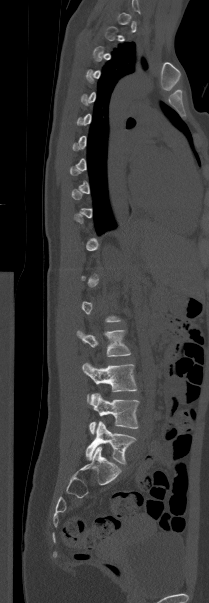
CT; sagittal view; bone-window reconstruction; 209x603 px
Box values are [left, top, right, bottom] in pixels.
A vertebra gets a box only on the slices from the first to the last where its cross-section is at least a third of its largest; on a slice outside that range it gets none.
{"vertebrae":{"L2":[77,330,131,356],"L3":[82,363,137,400],"L4":[88,393,139,434],"L5":[85,421,135,464]}}